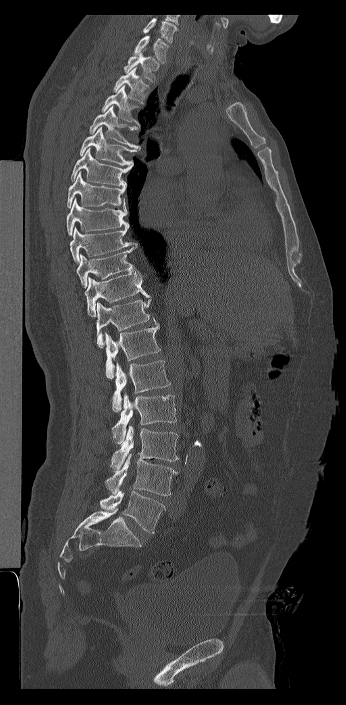
CT — sagittal reformat — W/L 1800/400 HU

Boxes below are [x1, y1, x2, y2] in pixels.
This scan's labels start at C7 at the top and end at L6 at the bottom.
These labels give the spine a sixth lumbar vertebra, L6, below L5.
{"vertebrae":{"C7":[133,35,168,63],"T1":[123,49,159,82],"T2":[113,67,149,104],"T3":[101,85,140,126],"T4":[89,106,140,150],"T5":[79,127,138,165],"T6":[71,148,133,187],"T7":[67,171,126,208],"T8":[66,198,129,235],"T9":[69,227,134,263],"T10":[76,243,141,288],"T11":[84,271,151,317],"T12":[96,298,156,348],"L1":[105,323,160,379],"L2":[111,360,170,412],"L3":[112,392,176,443],"L4":[110,424,179,469],"L5":[104,453,177,495],"L6":[100,490,165,533]}}